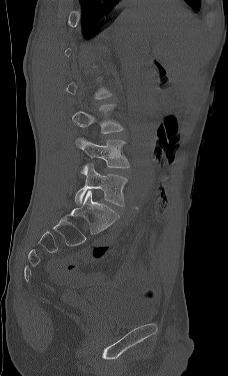
Spine computed tomography; sagittal view; 228x376 px; the image is 228 mm wide
Not every vertebra on this slice has a box: a vertebra is boxed only from the first to the last slice where its cross-section is at least a third of its largest, and this slice is outside that range for at least one of them.
<vertebrae><v name="L3" x1="71" y1="103" x2="123" y2="133"/><v name="L4" x1="76" y1="137" x2="129" y2="168"/><v name="L5" x1="75" y1="163" x2="127" y2="206"/></vertebrae>